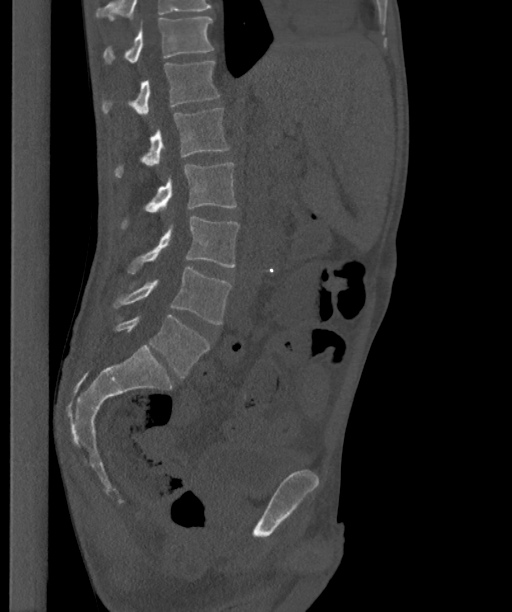

Spine computed tomography · 363 mm across the image · sagittal reformat · bone-window reconstruction · 512x612 px

Each box given as x1,y1,x2,y2.
In this scan, the topmost labeled vertebra is T12 and the lowest is L6.
In these labels the spine has an L6, a sixth lumbar vertebra below L5.
| vertebra | x1 | y1 | x2 | y2 |
|---|---|---|---|---|
| L6 | 115 | 315 | 209 | 377 |
| L5 | 112 | 267 | 232 | 324 |
| L4 | 128 | 216 | 239 | 273 |
| L3 | 123 | 162 | 236 | 227 |
| L2 | 115 | 108 | 229 | 177 |
| L1 | 103 | 61 | 219 | 118 |
| T12 | 103 | 17 | 213 | 62 |